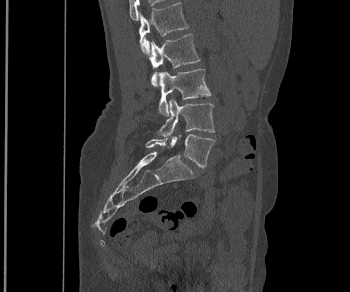

Spine computed tomography — sagittal view
Box values are [left, top, right, bottom] in pixels.
{"vertebrae":{"L1":[139,2,188,55],"L2":[149,34,200,86],"L3":[158,69,211,115],"L4":[158,99,214,136],"L5":[146,134,215,167]}}